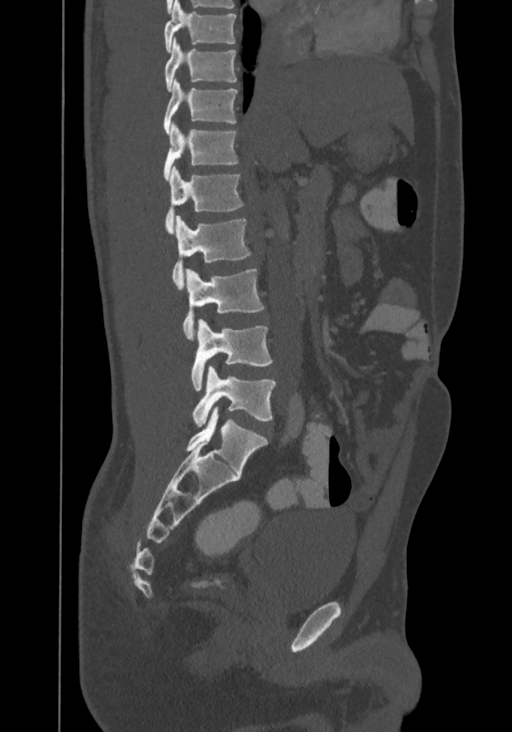

Spine CT. sagittal view. 512x732 px. Each box given as x1,y1,x2,y2.
The highest labeled vertebra in this scan is T8; the lowest is L4.
| vertebra | x1 | y1 | x2 | y2 |
|---|---|---|---|---|
| T8 | 164 | 0 | 236 | 52 |
| T9 | 164 | 36 | 236 | 91 |
| T10 | 163 | 78 | 237 | 135 |
| T11 | 163 | 122 | 239 | 180 |
| T12 | 164 | 166 | 243 | 234 |
| L1 | 172 | 216 | 250 | 289 |
| L2 | 182 | 269 | 264 | 339 |
| L3 | 191 | 319 | 272 | 391 |
| L4 | 192 | 365 | 275 | 427 |